CT spine · sagittal view · bone-window reconstruction
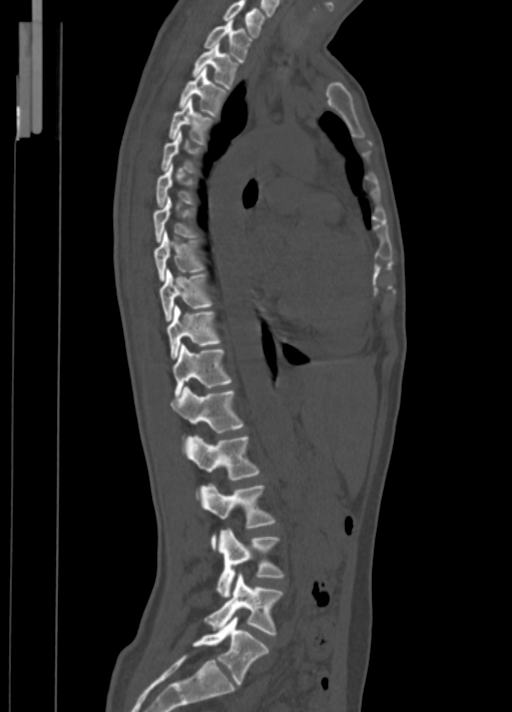 Bounding boxes as [x1, y1, x2, y2] in pixel coordinates.
L5: [193, 616, 269, 685]
L4: [205, 573, 283, 635]
L3: [216, 528, 284, 597]
L2: [200, 484, 275, 550]
L1: [184, 436, 261, 498]
T12: [171, 386, 243, 441]
T11: [172, 344, 231, 398]
T10: [167, 306, 221, 359]
T9: [159, 269, 212, 321]
T8: [153, 230, 205, 281]
T7: [153, 196, 197, 243]
T6: [156, 162, 195, 207]
T5: [161, 130, 202, 173]
T4: [168, 98, 214, 144]
T3: [178, 67, 227, 116]
T2: [191, 42, 239, 88]
T1: [203, 19, 252, 62]
C7: [222, 0, 265, 37]